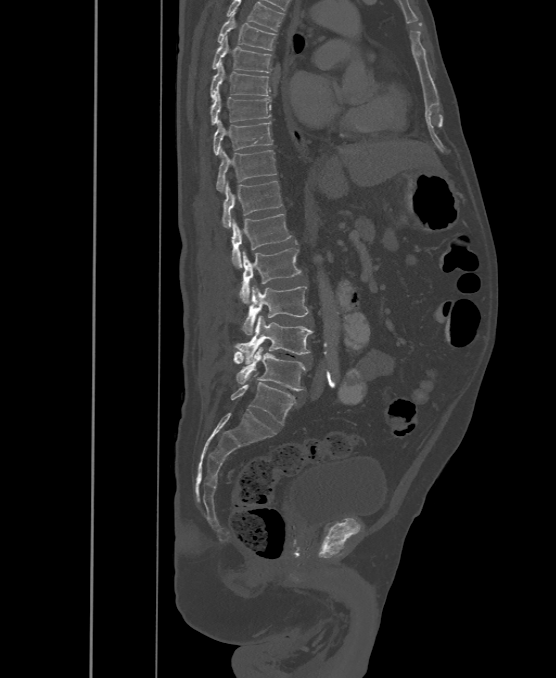 Computed tomography of the spine · sagittal view · W/L 1800/400 HU
Boxes: x1:y1:x2:y2 in pixels. This scan's labels start at T6 at the top and end at L6 at the bottom. These labels give the spine a sixth lumbar vertebra, L6, below L5. The labeled vertebrae in this slice are: L6 at 231:375:295:424, L5 at 233:346:307:390, L4 at 235:315:313:363, L3 at 242:285:308:334, L2 at 239:248:300:303, L1 at 231:214:291:267, T12 at 222:180:281:227, T11 at 216:148:276:192, T10 at 214:120:272:155, T9 at 211:94:270:124, T8 at 211:62:269:99, T7 at 213:37:271:73, T6 at 218:12:276:50.